Spine CT. sagittal view. image width 149 mm. bone window. 512x919 px
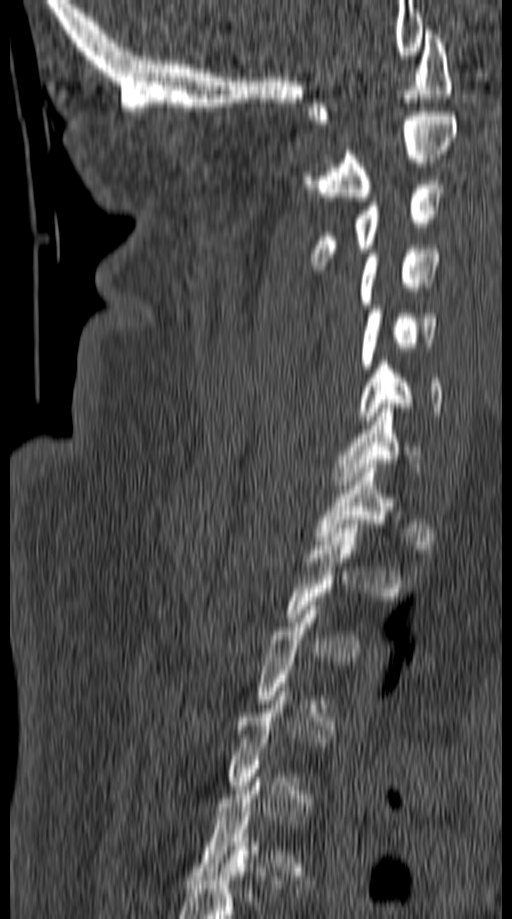

Bounding boxes as [x1, y1, x2, y2] in pixel coordinates.
Each vertebra is boxed only on the slices from the first to the last where its cross-section reaches a third of its largest, so a slice outside that range leaves it unboxed.
C7: [334, 408, 423, 489]
C6: [358, 361, 443, 424]
C5: [359, 309, 437, 373]
C4: [359, 249, 440, 308]
C3: [310, 180, 443, 270]
C2: [301, 112, 457, 201]
C1: [307, 26, 453, 124]